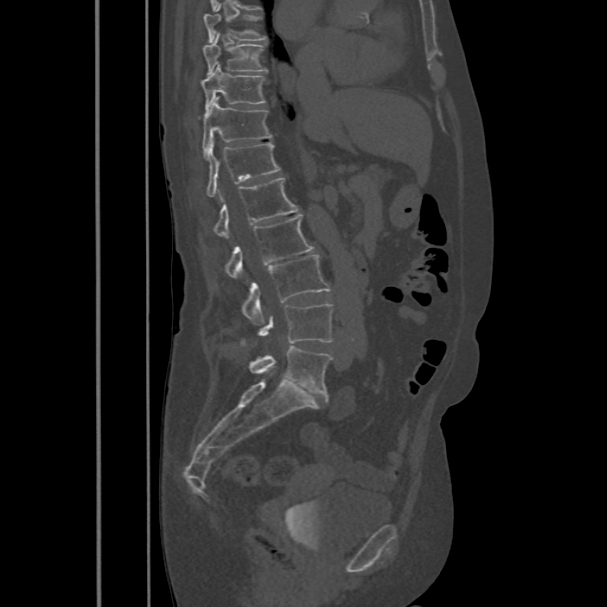
CT spine. sagittal view. 607x607 px
Coordinates as <box>x1,y1,x2,y2</box>.
In this scan, the topmost labeled vertebra is T8 and the lowest is L5.
T8: <box>203,13,266,41</box>
T9: <box>203,32,266,75</box>
T10: <box>200,63,265,110</box>
T11: <box>203,97,272,153</box>
T12: <box>206,141,280,196</box>
L1: <box>214,177,299,239</box>
L2: <box>227,215,315,279</box>
L3: <box>242,255,331,324</box>
L4: <box>259,303,332,342</box>
L5: <box>250,346,331,395</box>